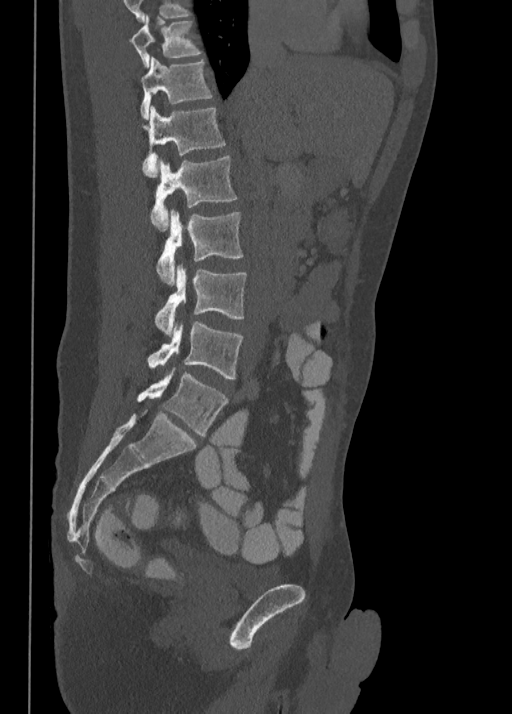
CT, spine. sagittal view
Box values are [left, top, right, bottom] in pixels.
In this scan, the topmost labeled vertebra is T10 and the lowest is L5.
{"vertebrae":{"L5":[137,369,228,436],"L4":[148,321,243,379],"L3":[155,263,246,332],"L2":[156,209,243,283],"L1":[150,157,237,229],"T12":[142,104,226,177],"T11":[140,57,212,119],"T10":[130,16,202,67]}}